CT spine · sagittal view · the image is 363 mm wide
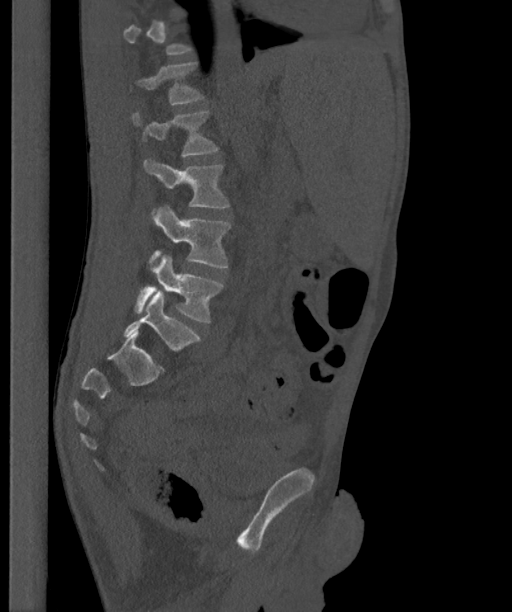

Box edges are left/top/right/bottom in pixels. A vertebra is boxed only from the first to the last slice where its cross-section is at least a third of its largest; slices outside that range leave it without a box. These labels give the spine a sixth lumbar vertebra, L6, below L5. Vertebrae labeled: L1 at left=137, top=62, right=203, bottom=104, L2 at left=132, top=112, right=219, bottom=156, L3 at left=143, top=159, right=229, bottom=212, L4 at left=149, top=206, right=230, bottom=268, L5 at left=134, top=255, right=223, bottom=321, L6 at left=124, top=291, right=200, bottom=349.